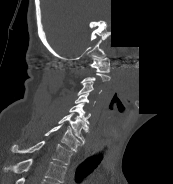 Spine computed tomography — sagittal view — the image is 173 mm wide — 173x184 px — a region is blanked to uniform black, ending in a straight edge. Each box given as x1,y1,x2,y2.
A vertebra gets a box only on the slices from the first to the last where its cross-section is at least a third of its largest; on a slice outside that range it gets none.
In this scan, the topmost labeled vertebra is C1 and the lowest is T1.
T1: x1=11, y1=140, x2=72, y2=164
C7: x1=44, y1=122, x2=82, y2=151
C6: x1=58, y1=112, x2=88, y2=144
C5: x1=69, y1=102, x2=90, y2=124
C4: x1=75, y1=92, x2=95, y2=106
C3: x1=77, y1=82, x2=101, y2=95
C1: x1=89, y1=57, x2=110, y2=72